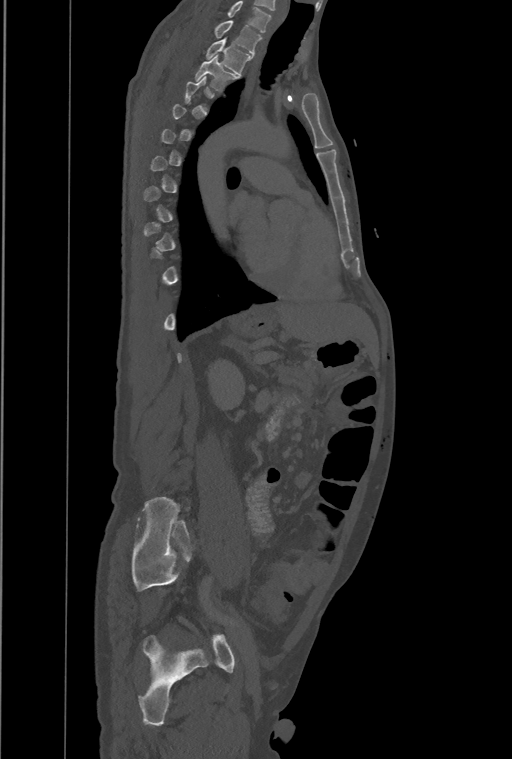

CT, spine; sagittal view; the image spans 461 mm across; 512x759 px
A vertebra gets a box only on the slices from the first to the last where its cross-section is at least a third of its largest; on a slice outside that range it gets none.
The highest labeled vertebra in this scan is T1; the lowest is L4.
<vertebrae><v name="T1" x1="215" y1="20" x2="260" y2="55"/><v name="T2" x1="206" y1="38" x2="252" y2="75"/><v name="T3" x1="195" y1="56" x2="237" y2="90"/></vertebrae>